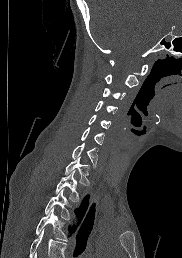

Spine computed tomography — sagittal view — bone window
Each vertebra maps to its box as [x1, y1, x2, y2], the pixel coordinates of its top-left and bottom-right corners.
Where the bottom of the scan cuts through a vertebra, that vertebra gets no label or box.
{"vertebrae":{"C1":[109,60,147,75],"C2":[105,74,138,87],"C3":[102,87,125,99],"C4":[95,100,118,113],"C5":[88,114,111,128],"C6":[81,127,104,145],"C7":[71,142,97,167],"T1":[65,157,90,185],"T2":[55,170,79,201],"T3":[44,189,70,219],"T4":[35,208,68,241]}}